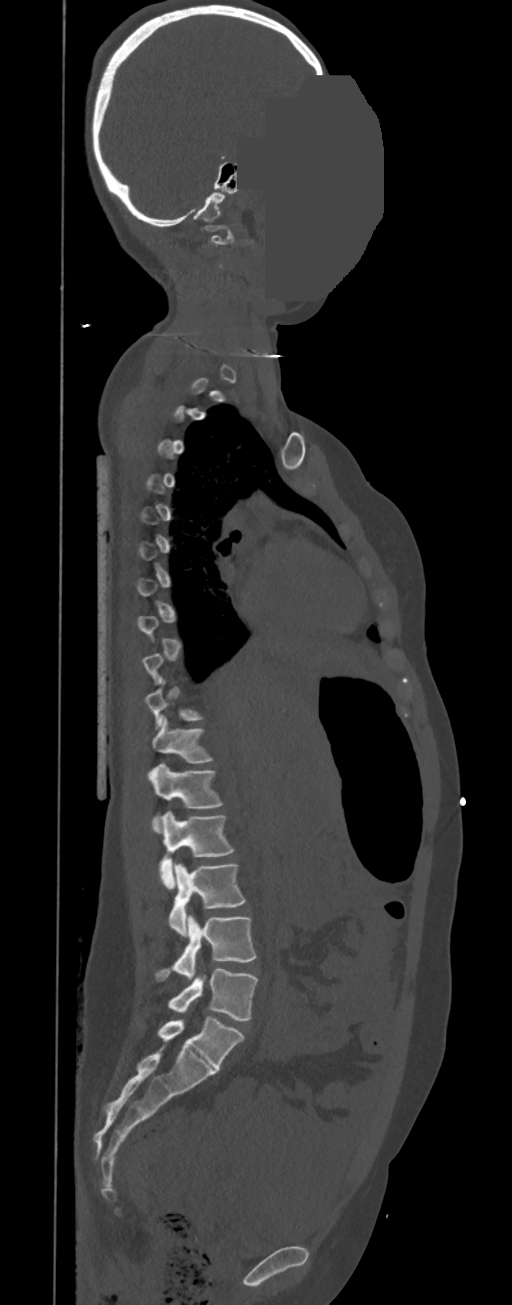 CT, spine — sagittal reformat — Bone window (WL 400, WW 1800) — 512x1305 px — a region is masked with a constant gray value

Not every vertebra on this slice has a box: a vertebra is boxed only from the first to the last slice where its cross-section is at least a third of its largest, and this slice is outside that range for at least one of them.
These labels give this spine no T12: after T11 the next vertebra is L1.
<vertebrae><v name="C1" x1="204" y1="225" x2="233" y2="244"/><v name="T11" x1="152" y1="718" x2="214" y2="763"/><v name="L1" x1="148" y1="764" x2="224" y2="832"/><v name="L2" x1="159" y1="811" x2="234" y2="889"/><v name="L3" x1="168" y1="864" x2="246" y2="935"/><v name="L4" x1="154" y1="915" x2="256" y2="980"/><v name="L5" x1="167" y1="968" x2="258" y2="1019"/></vertebrae>